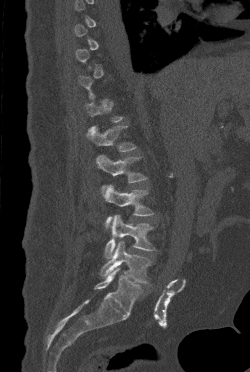

CT spine — sagittal view
Boxes below are [x1, y1, x2, y2] in pixels.
A vertebra is boxed only from the first to the last slice where its cross-section is at least a third of its largest; slices outside that range leave it without a box.
{"vertebrae":{"L1":[86,126,136,152],"L2":[96,155,147,189],"L3":[103,185,154,228],"L4":[104,214,155,258],"L5":[100,241,151,283]}}